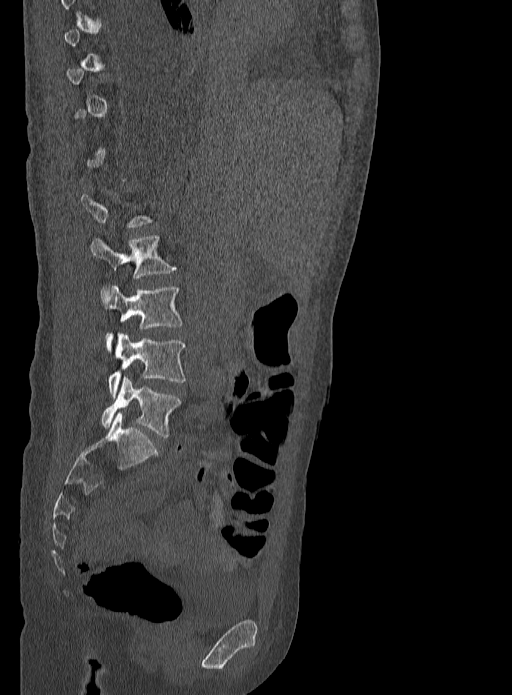 CT, spine; sagittal view; 512x695 px
A vertebra is boxed only from the first to the last slice where its cross-section is at least a third of its largest; slices outside that range leave it without a box.
<vertebrae><v name="L2" x1="90" y1="235" x2="177" y2="279"/><v name="L3" x1="100" y1="286" x2="183" y2="351"/><v name="L4" x1="107" y1="332" x2="185" y2="396"/><v name="L5" x1="101" y1="377" x2="180" y2="437"/></vertebrae>